CT spine · sagittal view
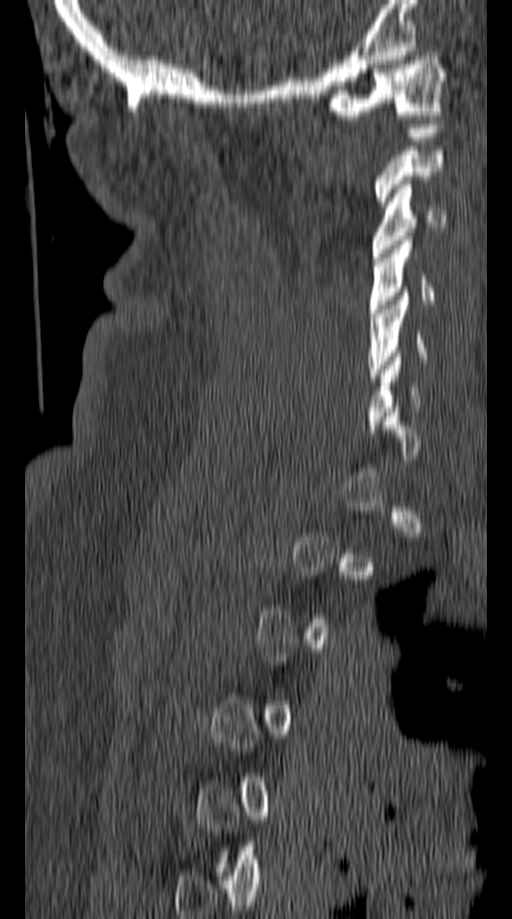

In the table, x1 and y1 are a box's top-left corner and x2 and y2 its bottom-right corner, in pixels.
Each vertebra is boxed only on the slices from the first to the last where its cross-section reaches a third of its largest, so a slice outside that range leaves it unboxed.
| vertebra | x1 | y1 | x2 | y2 |
|---|---|---|---|---|
| C5 | 367 | 292 | 426 | 381 |
| C4 | 369 | 236 | 434 | 317 |
| C3 | 372 | 180 | 447 | 257 |
| C1 | 323 | 52 | 447 | 119 |